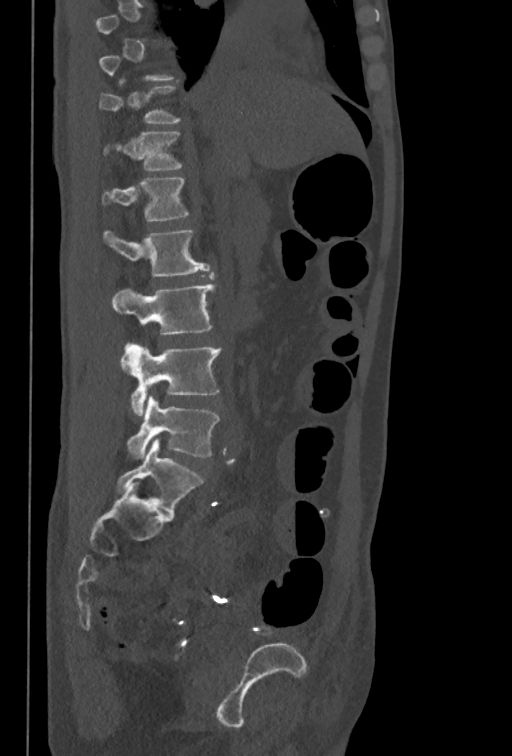 Spine CT — sagittal view
Each row gives a vertebra's box as x1, y1, x2, y2 in pixels: top-left corner, then bottom-right corner.
A vertebra gets a box only on the slices from the first to the last where its cross-section is at least a third of its largest; on a slice outside that range it gets none.
| vertebra | x1 | y1 | x2 | y2 |
|---|---|---|---|---|
| T11 | 99 | 86 | 180 | 123 |
| T12 | 103 | 132 | 182 | 170 |
| L1 | 102 | 178 | 189 | 222 |
| L2 | 102 | 229 | 209 | 277 |
| L3 | 112 | 284 | 215 | 335 |
| L4 | 121 | 342 | 221 | 415 |
| L5 | 127 | 396 | 220 | 458 |